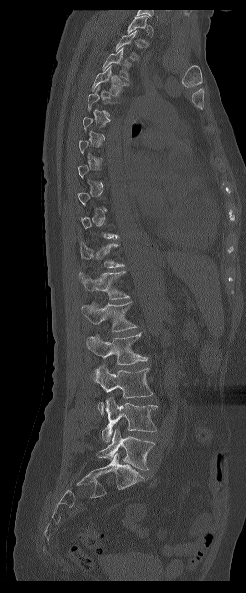

CT — sagittal view — bone window

Each box given as x1,y1,x2,y2.
A vertebra is boxed only from the first to the last slice where its cross-section is at least a third of its largest; slices outside that range leave it without a box.
Labels in this scan begin with T1 at the top and end with L5 at the bottom.
T1: x1=127, y1=15, x2=148, y2=33
T3: x1=103, y1=47, x2=129, y2=81
T4: x1=92, y1=65, x2=129, y2=95
T12: x1=78, y1=271, x2=130, y2=299
L1: x1=82, y1=301, x2=136, y2=331
L2: x1=86, y1=332, x2=148, y2=364
L3: x1=93, y1=365, x2=153, y2=414
L4: x1=101, y1=397, x2=157, y2=441
L5: x1=96, y1=429, x2=154, y2=470